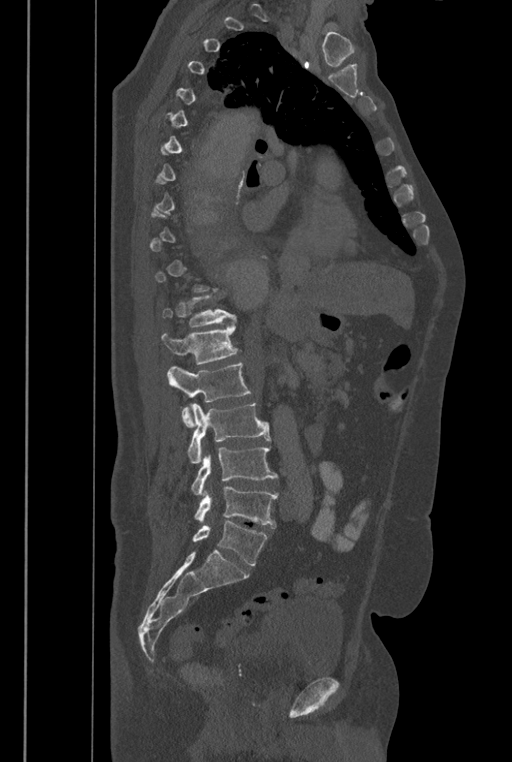 Spine computed tomography. sagittal reformat
Box edges are left/top/right/bottom in pixels.
Each vertebra is boxed only on the slices from the first to the last where its cross-section reaches a third of its largest, so a slice outside that range leaves it unboxed.
In these labels the spine has an L6, a sixth lumbar vertebra below L5.
T12: left=162, top=293, right=236, bottom=327
L1: left=162, top=319, right=240, bottom=365
L2: left=167, top=363, right=250, bottom=427
L3: left=188, top=403, right=271, bottom=463
L4: left=190, top=445, right=278, bottom=494
L5: left=194, top=486, right=278, bottom=527
L6: left=192, top=521, right=268, bottom=565